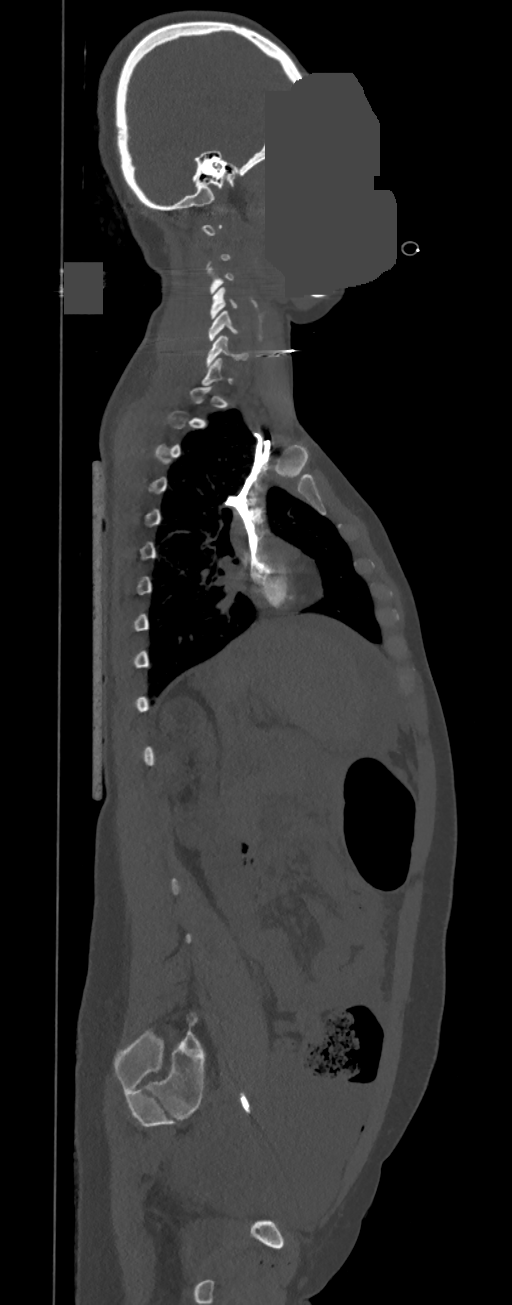
CT, spine — sagittal view — image 350 mm wide — bone-window reconstruction — a uniform gray block covers part of the image
Bounding boxes as [x1, y1, x2, y2] in pixel coordinates.
A vertebra is boxed only from the first to the last slice where its cross-section is at least a third of its largest; slices outside that range leave it without a box.
C6: [206, 334, 248, 366]
C5: [208, 311, 238, 340]
C4: [210, 287, 238, 319]